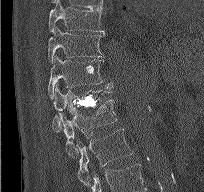
CT, spine · sagittal view · bone-window reconstruction · 204x192 px
Boxes: x1 y1 x2 y2 (pixel coords, space-separated).
Vertebra bounding boxes:
- T9: 49 1 104 33
- T10: 48 27 104 63
- T11: 48 56 112 98
- T12: 52 84 113 131
- L1: 58 99 116 157
- L2: 76 128 133 185